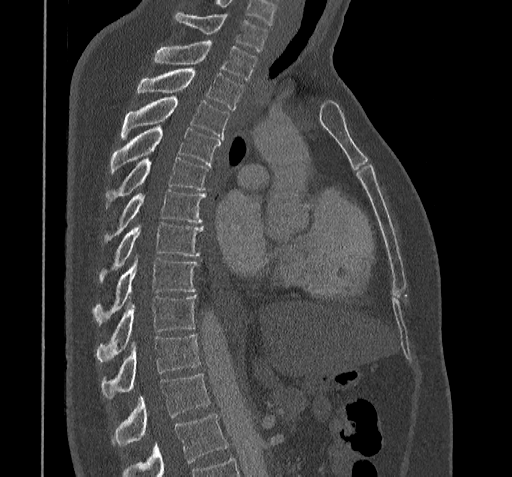 Spine CT. sagittal view. image 322 mm wide. bone-window reconstruction

Box edges are left/top/right/bottom in pixels.
A vertebra cut off by the bottom edge of the scan is not labeled and has no box.
| vertebra | x1 | y1 | x2 | y2 |
|---|---|---|---|---|
| C7 | 175 | 13 | 267 | 51 |
| T1 | 154 | 42 | 256 | 79 |
| T2 | 136 | 67 | 242 | 109 |
| T3 | 121 | 96 | 228 | 138 |
| T4 | 109 | 125 | 220 | 174 |
| T5 | 106 | 157 | 208 | 205 |
| T6 | 103 | 189 | 205 | 242 |
| T7 | 98 | 222 | 202 | 281 |
| T8 | 92 | 258 | 197 | 322 |
| T9 | 97 | 295 | 196 | 362 |
| T10 | 101 | 333 | 199 | 398 |
| T11 | 111 | 374 | 210 | 445 |